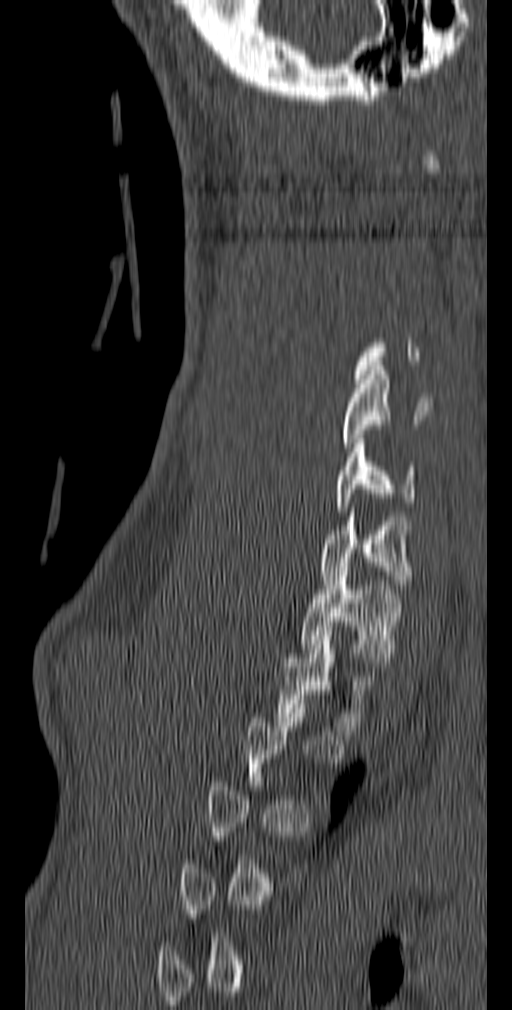

Computed tomography of the spine · sagittal view · the image spans 140 mm across
Each box is [x1, y1, x2, y2] in pixels: top-left corner, then bottom-right corner.
A vertebra is boxed only from the first to the last slice where its cross-section is at least a third of its largest; slices outside that range leave it without a box.
{"vertebrae":{"C5":[341,366,432,452],"C6":[334,439,417,511],"C7":[320,507,411,589],"T1":[300,567,403,666],"T2":[276,631,378,735]}}